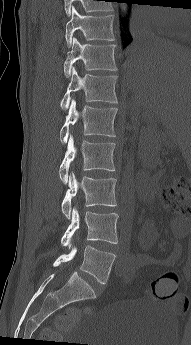

CT spine. sagittal view. Each row gives a vertebra's box as x1, y1, x2, y2 in pixels: top-left corner, then bottom-right corner.
| vertebra | x1 | y1 | x2 | y2 |
|---|---|---|---|---|
| L5 | 53 | 245 | 116 | 284 |
| L4 | 60 | 206 | 118 | 249 |
| L3 | 61 | 172 | 117 | 219 |
| L2 | 59 | 134 | 115 | 184 |
| L1 | 60 | 99 | 117 | 144 |
| T12 | 60 | 66 | 117 | 110 |
| T11 | 64 | 37 | 117 | 77 |
| T10 | 65 | 6 | 114 | 46 |